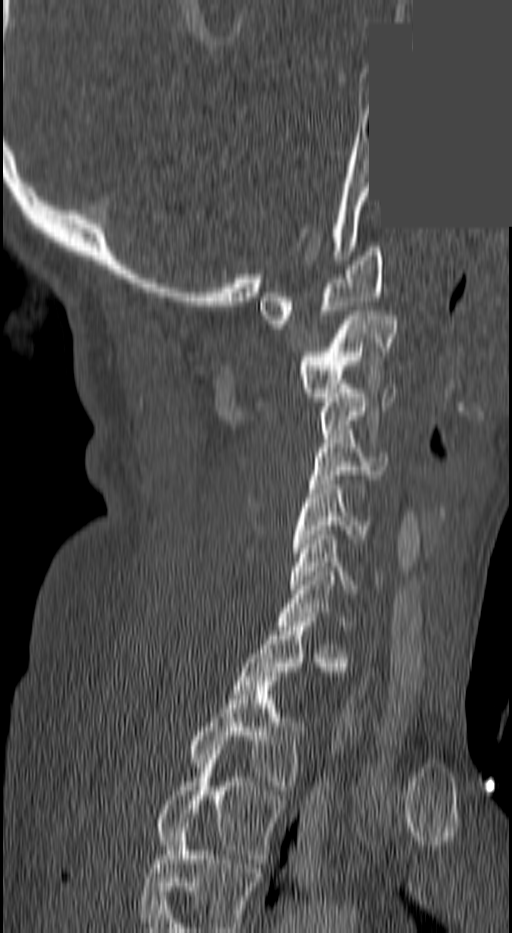

CT, spine — sagittal reformat — a portion of the image is blanked out (constant pixel value)
Not every vertebra on this slice has a box: a vertebra is boxed only from the first to the last slice where its cross-section is at least a third of its largest, and this slice is outside that range for at least one of them.
In this scan, the topmost labeled vertebra is C1 and the lowest is T3.
<vertebrae><v name="C1" x1="260" y1="247" x2="384" y2="324"/><v name="C2" x1="297" y1="311" x2="395" y2="401"/><v name="C3" x1="322" y1="389" x2="396" y2="438"/><v name="C4" x1="309" y1="434" x2="386" y2="484"/><v name="C5" x1="291" y1="485" x2="366" y2="552"/><v name="C6" x1="290" y1="535" x2="380" y2="593"/><v name="C7" x1="279" y1="576" x2="348" y2="630"/><v name="T2" x1="188" y1="677" x2="304" y2="794"/><v name="T3" x1="155" y1="759" x2="282" y2="863"/></vertebrae>